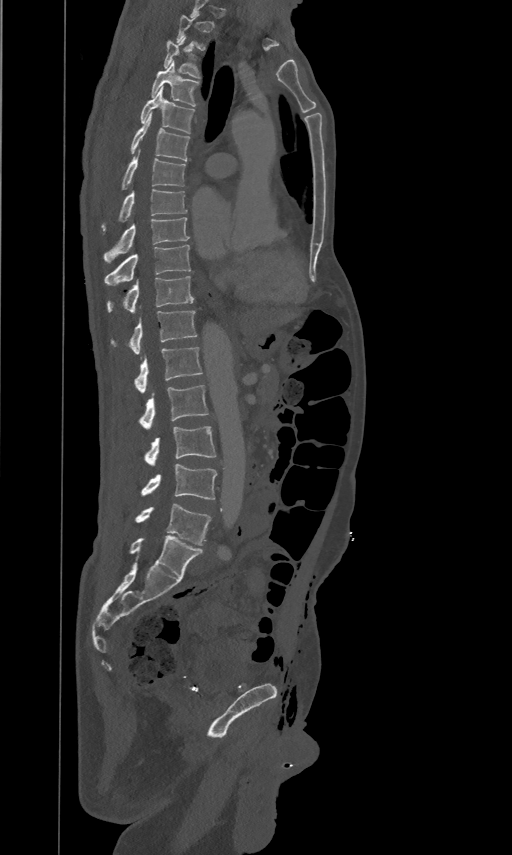

CT, spine · sagittal reformat · Bone window (WL 400, WW 1800)
Box values are [left, top, right, bottom] in pixels.
Not every vertebra on this slice has a box: a vertebra is boxed only from the first to the last slice where its cross-section is at least a third of its largest, and this slice is outside that range for at least one of them.
{"vertebrae":{"T3":[164,37,200,77],"T4":[151,61,199,106],"T5":[140,85,194,133],"T6":[131,112,189,160],"T7":[122,150,186,188],"T8":[101,189,187,230],"T9":[104,216,189,261],"T10":[105,244,190,284],"T11":[107,275,193,311],"T12":[111,310,197,353],"L1":[134,346,202,392],"L2":[138,384,209,429],"L3":[144,425,215,465],"L4":[141,464,216,500],"L5":[135,504,211,545]}}